Spine CT · sagittal plane, index 263
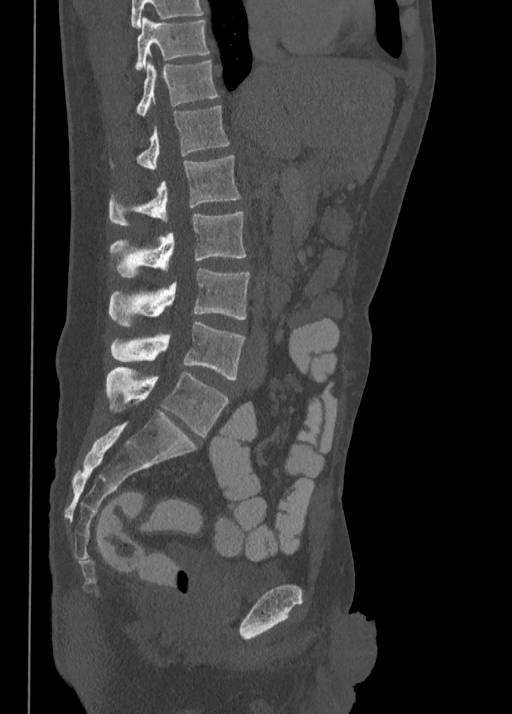

Each box given as x1,y1,x2,y2.
Labels in this scan begin with T10 at the top and end with L5 at the bottom.
Vertebra bounding boxes:
- L5: x1=107, y1=367, x2=228, y2=436
- L4: x1=109, y1=321, x2=245, y2=379
- L3: x1=109, y1=269, x2=249, y2=327
- L2: x1=109, y1=212, x2=246, y2=277
- L1: x1=109, y1=155, x2=240, y2=225
- T12: x1=109, y1=105, x2=230, y2=169
- T11: x1=136, y1=59, x2=218, y2=116
- T10: x1=135, y1=16, x2=209, y2=67